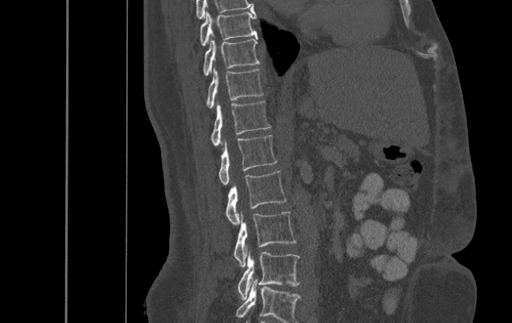
CT spine — sagittal view — bone-window reconstruction — the image is 500 mm wide
Coordinates as <box>x1,y1,x2,y2</box>.
The highest labeled vertebra in this scan is T9; the lowest is L4.
Vertebra bounding boxes:
- T9: <box>200,10,257,45</box>
- T10: <box>204,37,259,75</box>
- T11: <box>207,67,263,108</box>
- T12: <box>211,100,270,145</box>
- L1: <box>219,135,276,184</box>
- L2: <box>225,171,286,225</box>
- L3: <box>234,211,295,266</box>
- L4: <box>238,249,299,299</box>